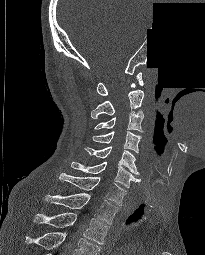 CT, spine; sagittal view; 205 mm image width; some of the image was removed or blocked out with constant pixels
Each vertebra maps to its box as [x1, y1, x2, y2], the pixel coordinates of its top-left and bottom-right corners.
In this scan, the topmost labeled vertebra is C1 and the lowest is T2.
{"vertebrae":{"T2":[33,212,108,244],"T1":[45,193,118,224],"C7":[59,173,126,205],"C6":[71,161,141,187],"C5":[84,146,139,174],"C4":[92,131,141,152],"C3":[94,109,143,132],"C2":[91,90,143,118],"C1":[97,72,143,95]}}